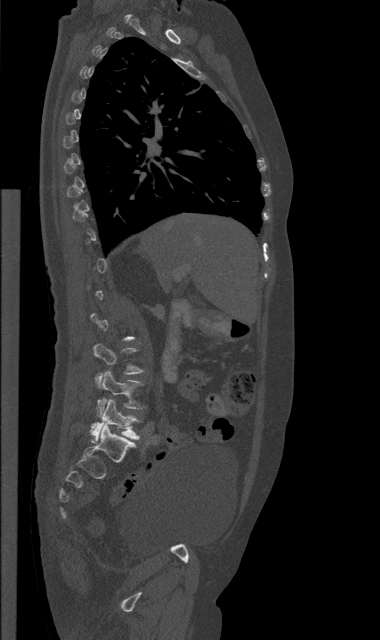

Spine computed tomography · sagittal view · image 380 mm wide · bone window. Bounding boxes as [x1, y1, x2, y2] in pixel coordinates.
A vertebra gets a box only on the slices from the first to the last where its cross-section is at least a third of its largest; on a slice outside that range it gets none.
L3: [93, 344, 143, 384]
L4: [97, 371, 143, 416]
L5: [91, 399, 139, 441]